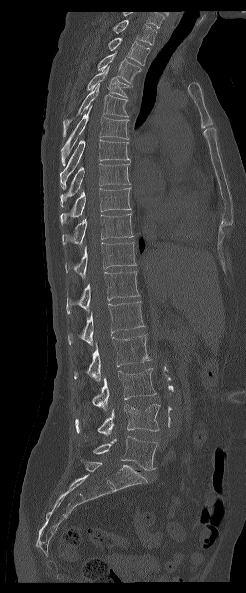
Spine computed tomography · sagittal view. Each box given as x1,y1,x2,y2.
In this scan, the topmost labeled vertebra is T1 and the lowest is L5.
T1: x1=111, y1=18, x2=156, y2=45
T2: x1=108, y1=37, x2=150, y2=64
T3: x1=97, y1=51, x2=141, y2=86
T4: x1=87, y1=66, x2=130, y2=96
T5: x1=63, y1=83, x2=128, y2=136
T6: x1=61, y1=106, x2=129, y2=165
T7: x1=60, y1=139, x2=130, y2=189
T8: x1=60, y1=163, x2=129, y2=206
T9: x1=60, y1=187, x2=131, y2=225
T10: x1=62, y1=212, x2=132, y2=246
T11: x1=65, y1=242, x2=135, y2=277
T12: x1=66, y1=271, x2=140, y2=314
L1: x1=68, y1=301, x2=145, y2=345
L2: x1=74, y1=335, x2=150, y2=380
L3: x1=92, y1=368, x2=156, y2=410
L4: x1=75, y1=404, x2=160, y2=435
L5: x1=93, y1=436, x2=157, y2=470